Spine computed tomography — Sagittal slice 256/512 — 336 mm image width — 512x980 px — scan covers 16 annotated vertebrae
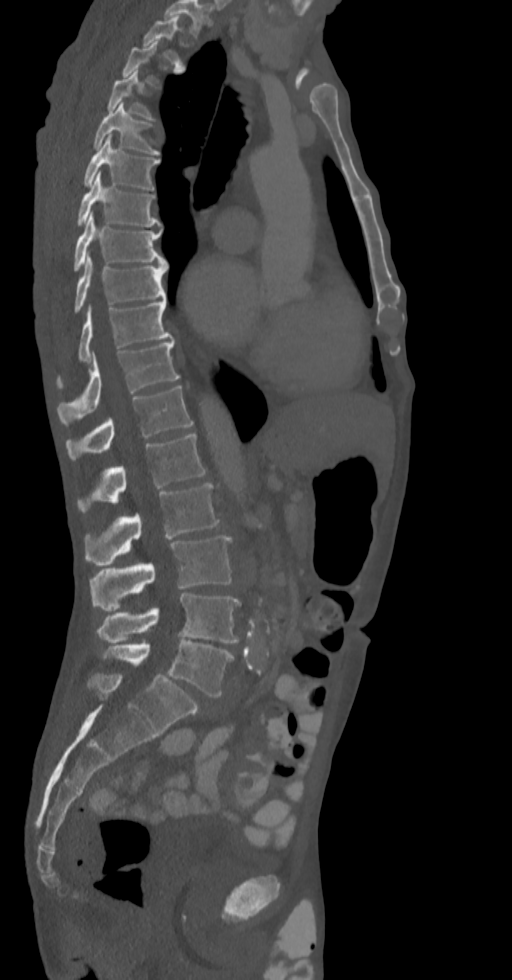

Boxes: x1 y1 x2 y2 (pixel coords, space-separated). Not every vertebra on this slice has a box: a vertebra is boxed only from the first to the last slice where its cross-section is at least a third of its largest, and this slice is outside that range for at least one of them. This scan's labels start at T2 at the top and end at L5 at the bottom. 15 vertebrae labeled — T2 at 143 17 183 68; T4 at 108 70 154 119; T5 at 94 102 159 154; T6 at 84 134 159 189; T7 at 77 172 160 226; T8 at 74 213 168 270; T9 at 74 254 168 313; T10 at 58 297 172 381; T11 at 58 341 180 426; T12 at 65 386 194 459; L1 at 77 433 206 513; L2 at 85 483 220 566; L3 at 90 536 232 610; L4 at 97 593 239 642; L5 at 102 640 233 697.